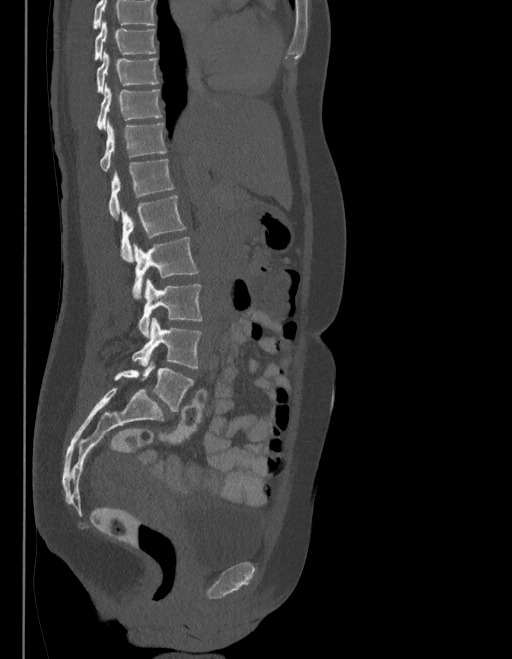
Spine computed tomography. sagittal view
Each box is [x1, y1, x2, y2] in pixels: top-left corner, then bottom-right corner.
Where the top of the scan cuts through a vertebra, that vertebra gets no label or box.
In these labels the spine has an L6, a sixth lumbar vertebra below L5.
{"vertebrae":{"T9":[95,21,155,60],"T10":[96,51,158,94],"T11":[98,83,161,129],"T12":[100,120,167,172],"L1":[109,159,173,220],"L2":[121,196,186,261],"L3":[133,237,197,299],"L4":[138,279,201,337],"L5":[132,318,201,368],"L6":[114,359,193,412]}}